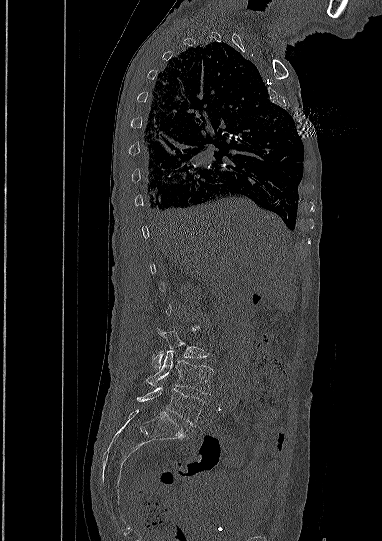 CT spine. sagittal view

Columns x1, y1, x2, y2 give each box's top-left and bottom-right pixels.
| vertebra | x1 | y1 | x2 | y2 |
|---|---|---|---|---|
| L5 | 137 | 386 | 205 | 426 |
| L4 | 147 | 350 | 213 | 394 |
| L3 | 153 | 329 | 208 | 369 |